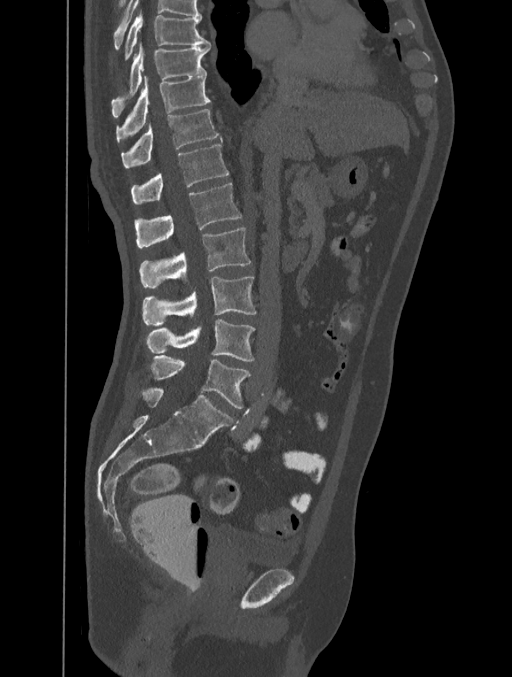 Spine computed tomography — sagittal view — bone window — 512x677 px
<vertebrae><v name="T8" x1="124" y1="11" x2="210" y2="60"/><v name="T9" x1="112" y1="44" x2="210" y2="110"/><v name="T10" x1="116" y1="75" x2="211" y2="140"/><v name="T11" x1="121" y1="109" x2="221" y2="168"/><v name="T12" x1="131" y1="144" x2="229" y2="204"/><v name="L1" x1="135" y1="183" x2="241" y2="248"/><v name="L2" x1="139" y1="228" x2="250" y2="287"/><v name="L3" x1="143" y1="276" x2="255" y2="327"/><v name="L4" x1="145" y1="319" x2="254" y2="361"/><v name="L5" x1="151" y1="355" x2="250" y2="408"/></vertebrae>